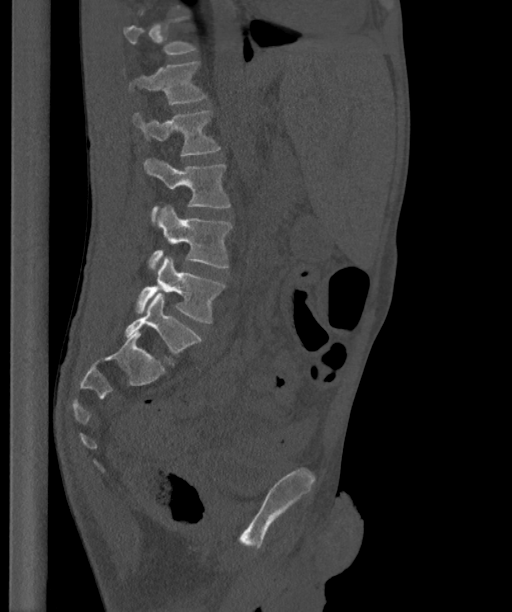 CT. sagittal view. bone window
Each vertebra is boxed only on the slices from the first to the last where its cross-section reaches a third of its largest, so a slice outside that range leaves it unboxed.
In these labels the spine has an L6, a sixth lumbar vertebra below L5.
<vertebrae><v name="L1" x1="122" y1="62" x2="206" y2="104"/><v name="L2" x1="132" y1="109" x2="220" y2="155"/><v name="L3" x1="144" y1="157" x2="230" y2="221"/><v name="L4" x1="149" y1="206" x2="232" y2="268"/><v name="L5" x1="135" y1="256" x2="224" y2="323"/><v name="L6" x1="124" y1="293" x2="200" y2="353"/></vertebrae>